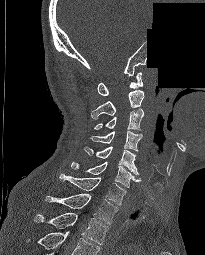 Spine CT — sagittal view — Bone window (WL 400, WW 1800) — image 205 mm wide — a portion of the image is blanked out (constant pixel value)
Box edges are left/top/right/bottom in pixels.
In this scan, the topmost labeled vertebra is C1 and the lowest is T2.
| vertebra | x1 | y1 | x2 | y2 |
|---|---|---|---|---|
| T2 | 34 | 213 | 108 | 244 |
| T1 | 45 | 193 | 117 | 224 |
| C7 | 59 | 173 | 126 | 205 |
| C6 | 71 | 161 | 141 | 187 |
| C5 | 83 | 146 | 139 | 174 |
| C4 | 90 | 131 | 142 | 151 |
| C3 | 94 | 109 | 144 | 130 |
| C2 | 91 | 90 | 144 | 118 |
| C1 | 97 | 72 | 143 | 95 |